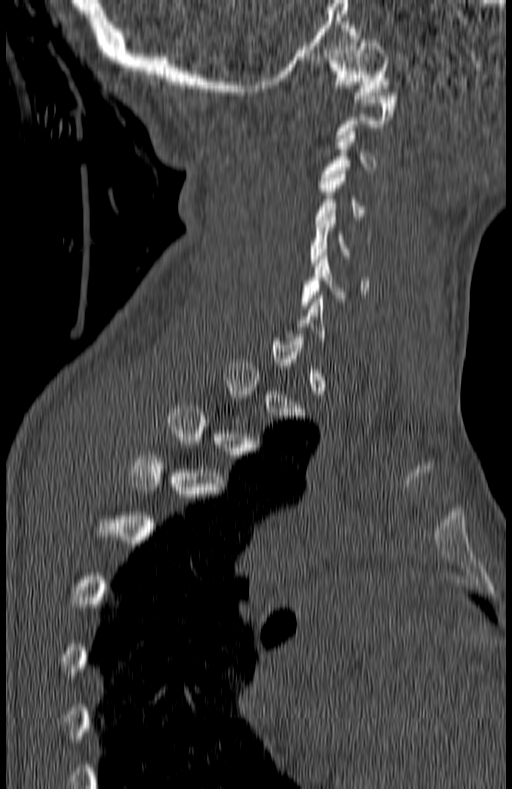 Spine computed tomography — sagittal view — 512x789 px

Columns x1, y1, x2, y2 give each box's top-left and bottom-right pixels.
Not every vertebra on this slice has a box: a vertebra is boxed only from the first to the last slice where its cross-section is at least a third of its largest, and this slice is outside that range for at least one of them.
| vertebra | x1 | y1 | x2 | y2 |
|---|---|---|---|---|
| C1 | 328 | 39 | 390 | 99 |
| C3 | 320 | 132 | 378 | 184 |
| C4 | 314 | 171 | 367 | 219 |
| C5 | 309 | 210 | 370 | 262 |
| C6 | 300 | 256 | 367 | 308 |